Spine CT. sagittal view. 500 mm image width
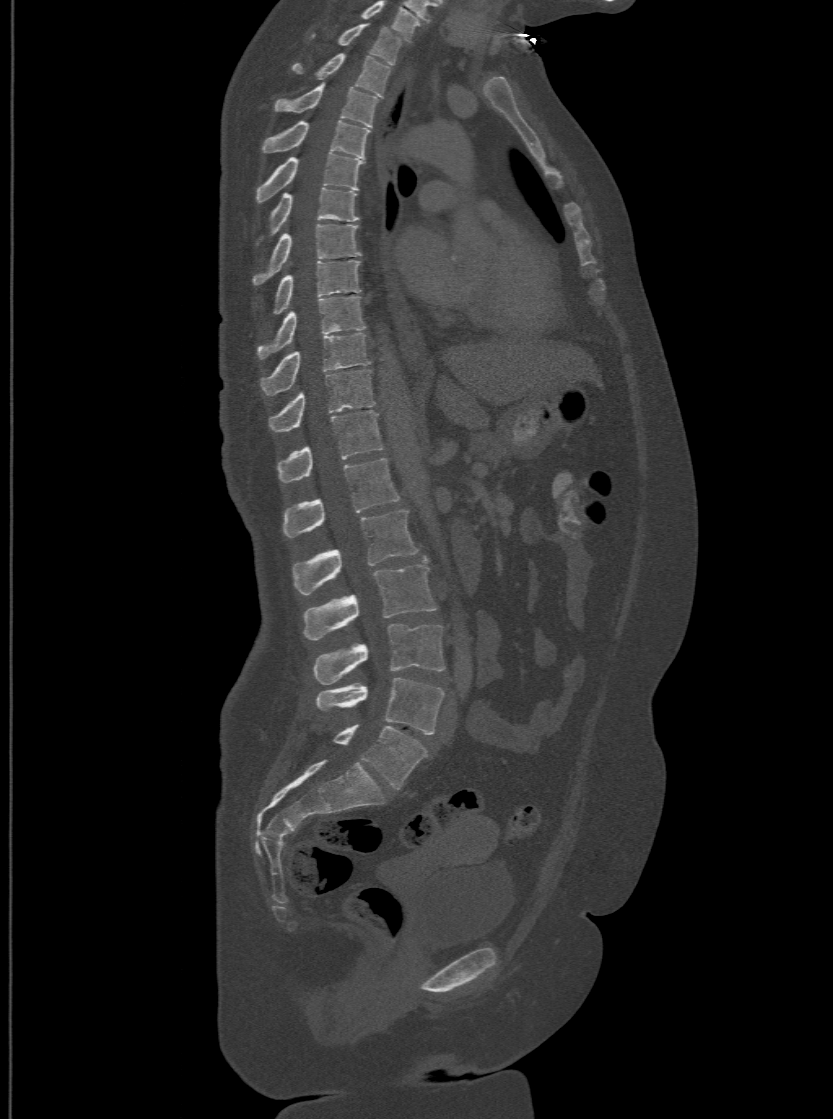 Each box given as x1,y1,x2,y2.
This scan's labels start at T1 at the top and end at L6 at the bottom.
In these labels the spine has an L6, a sixth lumbar vertebra below L5.
Vertebra bounding boxes:
- L6: x1=332, y1=724, x2=427, y2=788
- L5: x1=317, y1=678, x2=443, y2=733
- L4: x1=312, y1=624, x2=443, y2=683
- L3: x1=304, y1=555, x2=435, y2=640
- L2: x1=293, y1=508, x2=417, y2=595
- L1: x1=283, y1=457, x2=399, y2=536
- T12: x1=278, y1=410, x2=383, y2=481
- T11: x1=269, y1=368, x2=373, y2=431
- T10: x1=262, y1=332, x2=368, y2=394
- T9: x1=257, y1=295, x2=365, y2=357
- T8: x1=272, y1=260, x2=360, y2=314
- T7: x1=252, y1=223, x2=360, y2=286
- T6: x1=256, y1=187, x2=359, y2=242
- T5: x1=257, y1=152, x2=364, y2=201
- T4: x1=262, y1=120, x2=368, y2=157
- T3: x1=275, y1=82, x2=377, y2=126
- T2: x1=291, y1=52, x2=391, y2=96
- T1: x1=309, y1=23, x2=403, y2=64